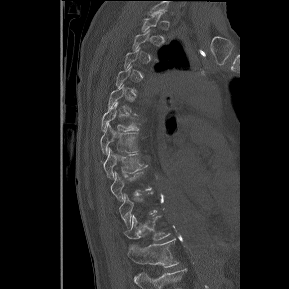
Spine computed tomography — sagittal view — W/L 1800/400 HU — 289x289 px
In the table, x1 and y1 are a box's top-left corner and x2 and y2 its bottom-right corner, in pixels.
A vertebra is boxed only from the first to the last slice where its cross-section is at least a third of its largest; slices outside that range leave it without a box.
This scan's labels start at T1 at the top and end at T12 at the bottom.
| vertebra | x1 | y1 | x2 | y2 |
|---|---|---|---|---|
| T6 | 101 | 102 | 139 | 131 |
| T7 | 101 | 123 | 138 | 153 |
| T8 | 104 | 149 | 147 | 177 |
| T9 | 111 | 171 | 151 | 200 |
| T11 | 124 | 215 | 170 | 240 |
| T12 | 128 | 238 | 179 | 267 |